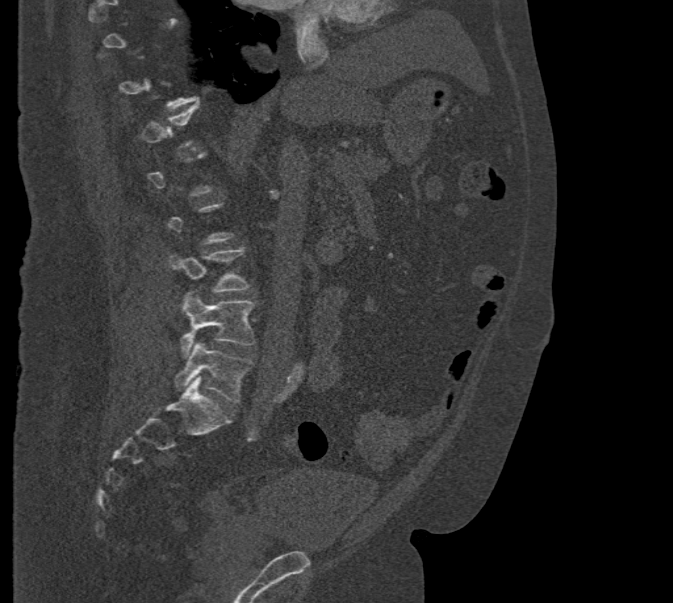

Computed tomography of the spine; sagittal view; bone-window reconstruction; 673x603 px; 471 mm image width
A vertebra gets a box only on the slices from the first to the last where its cross-section is at least a third of its largest; on a slice outside that range it gets none.
<vertebrae><v name="L3" x1="168" y1="248" x2="249" y2="292"/><v name="L4" x1="180" y1="292" x2="255" y2="357"/><v name="L5" x1="175" y1="342" x2="253" y2="402"/></vertebrae>